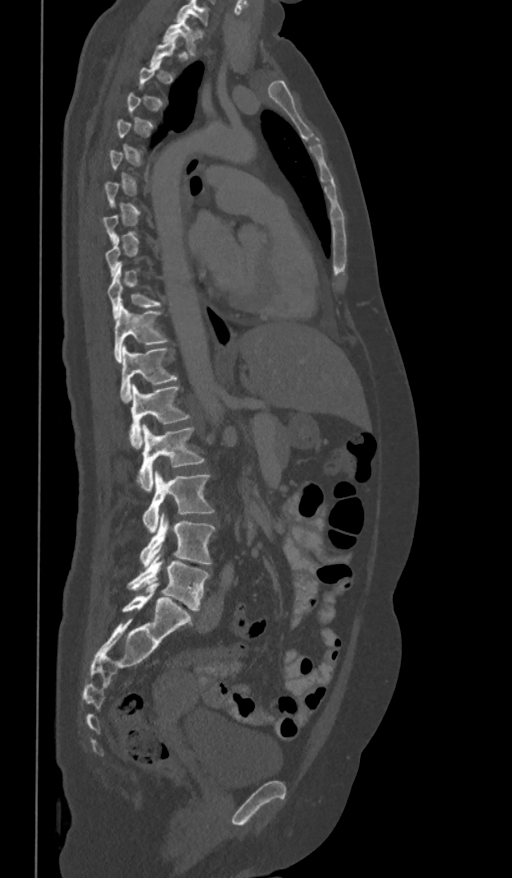

CT, spine. sagittal view. 512x878 px

Boxes: x1:y1:x2:y2 in pixels.
Not every vertebra on this slice has a box: a vertebra is boxed only from the first to the last slice where its cross-section is at least a third of its largest, and this slice is outside that range for at least one of them.
The highest labeled vertebra in this scan is T1; the lowest is L5.
T1: 163:17:195:54
T10: 106:267:160:318
T11: 115:304:168:362
T12: 120:345:177:402
L1: 129:383:190:447
L2: 137:425:204:492
L3: 143:471:213:533
L4: 140:512:214:567
L5: 127:550:209:610